CT. sagittal view. Bone window (WL 400, WW 1800). scan covers 10 annotated vertebrae
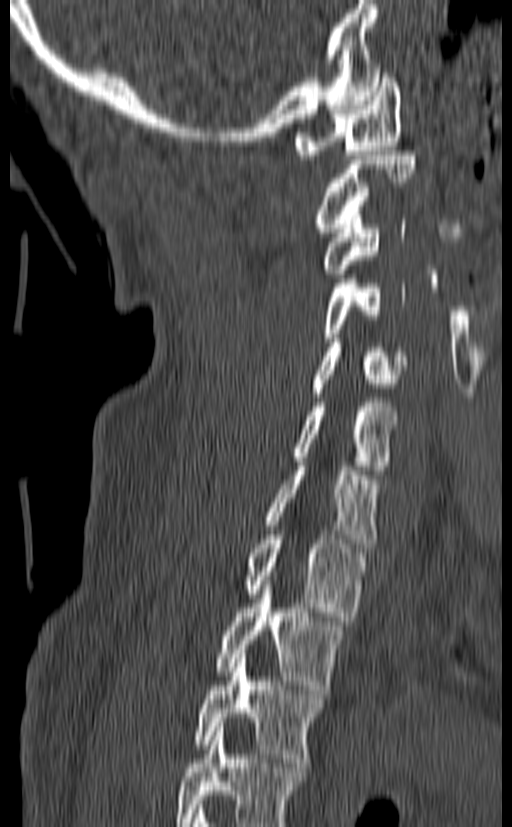 Each box given as x1,y1,x2,y2. The highest labeled vertebra in this scan is C1; the lowest is T3. The labeled vertebrae in this slice are: C1 at x1=294, y1=69, x2=402, y2=159, C2 at x1=312, y1=151, x2=417, y2=232, C3 at x1=320, y1=215, x2=406, y2=278, C4 at x1=320, y1=279, x2=405, y2=342, C5 at x1=309, y1=338, x2=407, y2=397, C6 at x1=290, y1=398, x2=397, y2=474, C7 at x1=265, y1=462, x2=381, y2=548, T1 at x1=243, y1=530, x2=370, y2=621, T2 at x1=213, y1=581, x2=348, y2=694, T3 at x1=192, y1=649, x2=326, y2=762.